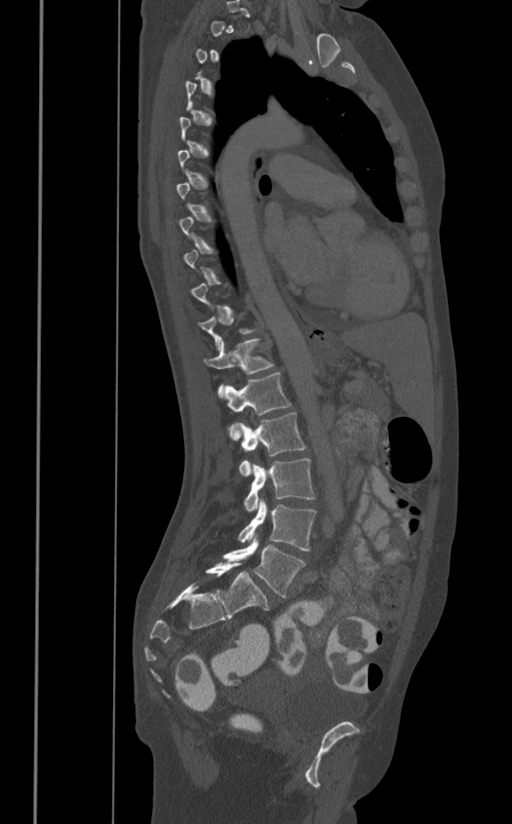

Spine CT; sagittal view

Each box given as x1,y1,x2,y2.
A vertebra is boxed only from the first to the last slice where its cross-section is at least a third of its largest; slices outside that range leave it without a box.
Vertebra bounding boxes:
- L5: x1=223, y1=533, x2=305, y2=598
- L4: x1=238, y1=499, x2=316, y2=551
- L3: x1=243, y1=458, x2=314, y2=510
- L2: x1=239, y1=412, x2=305, y2=476
- L1: x1=225, y1=372, x2=291, y2=440
- T12: x1=203, y1=338, x2=274, y2=397